CT spine. sagittal reformat. Bone window (WL 400, WW 1800). 512x712 px
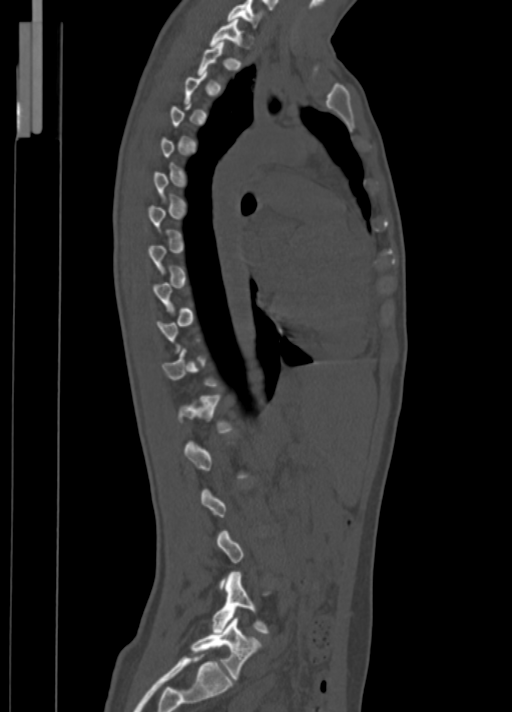

Bounding boxes as [x1, y1, x2, y2] in pixel coordinates.
A vertebra is boxed only from the first to the last slice where its cross-section is at least a third of its largest; slices outside that range leave it without a box.
Vertebra bounding boxes:
- C7: [227, 0, 261, 27]
- T1: [209, 19, 242, 46]
- L4: [212, 572, 269, 632]
- L5: [191, 617, 261, 679]